CT spine. 430 mm across the image. sagittal view. scan covers 7 annotated vertebrae
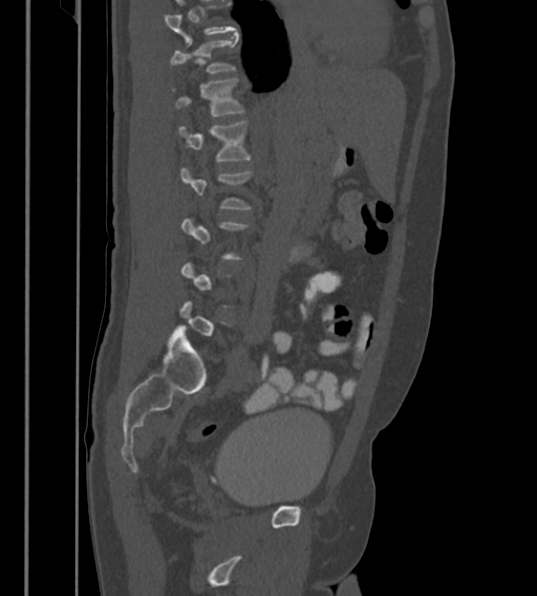
Boxes below are [x1, y1, x2, y2] in pixels.
Not every vertebra on this slice has a box: a vertebra is boxed only from the first to the last slice where its cross-section is at least a third of its largest, and this slice is outside that range for at least one of them.
In this scan, the topmost labeled vertebra is T12 and the lowest is L6.
{"vertebrae":{"T12":[170,39,235,74],"L1":[172,77,244,116],"L2":[178,121,250,161],"L3":[181,167,253,209]}}